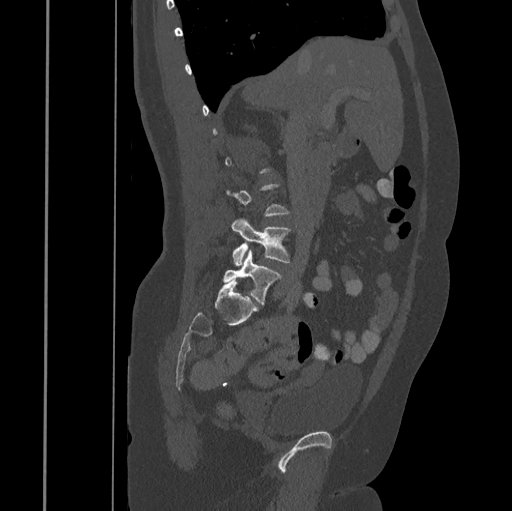
Spine computed tomography; sagittal view; Bone window (WL 400, WW 1800); 445 mm across the image
Coordinates as <box>x1,y1,x2,y2</box>. A vertebra is boxed only from the first to the last slice where its cross-section is at least a third of its largest; slices outside that range leave it without a box. Vertebrae labeled: L4 at <box>231,218,290,266</box>, L5 at <box>223,250,281,303</box>.